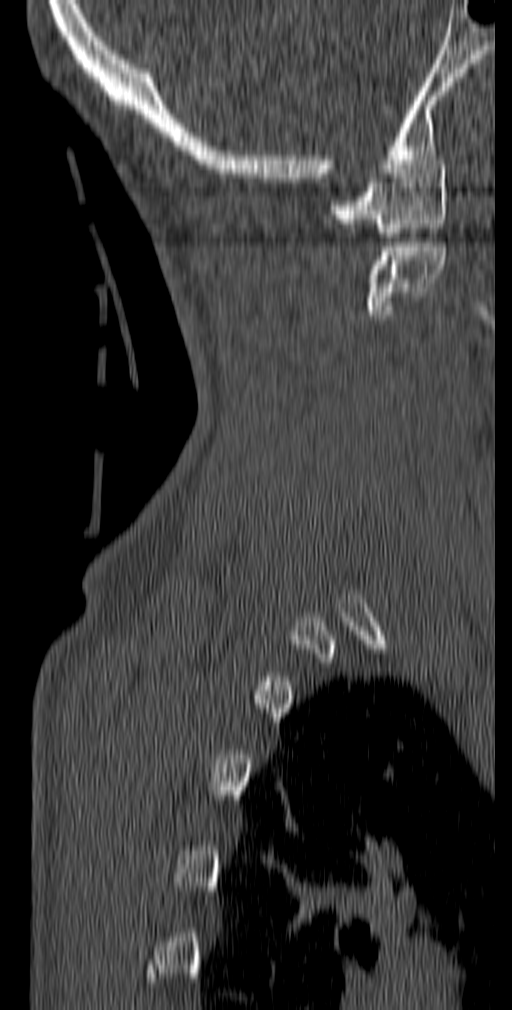

Spine computed tomography — sagittal view — 512x1010 px
In the table, x1 and y1 are a box's top-left corner and x2 and y2 its bottom-right corner, in pixels.
| vertebra | x1 | y1 | x2 | y2 |
|---|---|---|---|---|
| C1 | 330 | 165 | 447 | 237 |
| C2 | 363 | 242 | 447 | 319 |